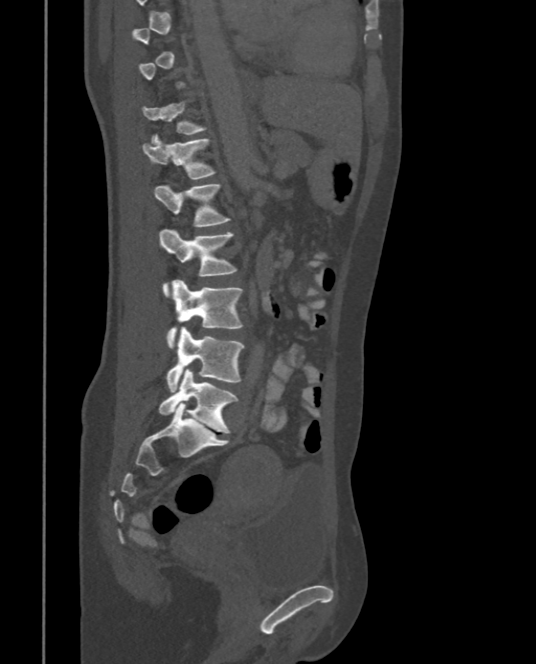

CT; sagittal view; bone window; 536x664 px
Each box is [x1, y1, x2, y2] in pixels: top-left corner, then bottom-right corner.
A vertebra is boxed only from the first to the last slice where its cross-section is at least a third of its largest; slices outside that range leave it without a box.
{"vertebrae":{"L5":[158,368,238,433],"L4":[167,327,245,392],"L3":[167,280,242,347],"L2":[158,229,235,296],"L1":[154,184,230,226],"T12":[142,134,216,179],"T11":[141,101,207,143]}}